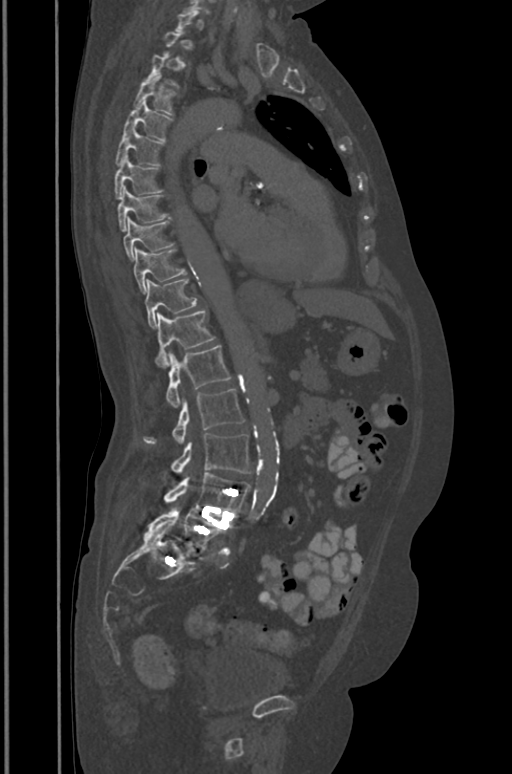

Spine computed tomography — sagittal view — image width 391 mm — Bone window (WL 400, WW 1800)

Boxes: x1 y1 x2 y2 (pixel coords, space-separated).
A vertebra gets a box only on the slices from the first to the last where its cross-section is at least a third of its largest; on a slice outside that range it gets none.
T4: 134 72 177 115
T5: 123 99 173 139
T6: 115 127 164 166
T7: 114 155 161 199
T8: 116 187 169 231
T9: 123 217 174 259
T10: 134 248 185 294
T11: 145 279 197 327
T12: 154 310 214 367
L1: 166 345 231 407
L2: 143 389 244 442
L3: 170 433 250 473
L4: 164 472 250 513
L5: 148 506 226 550